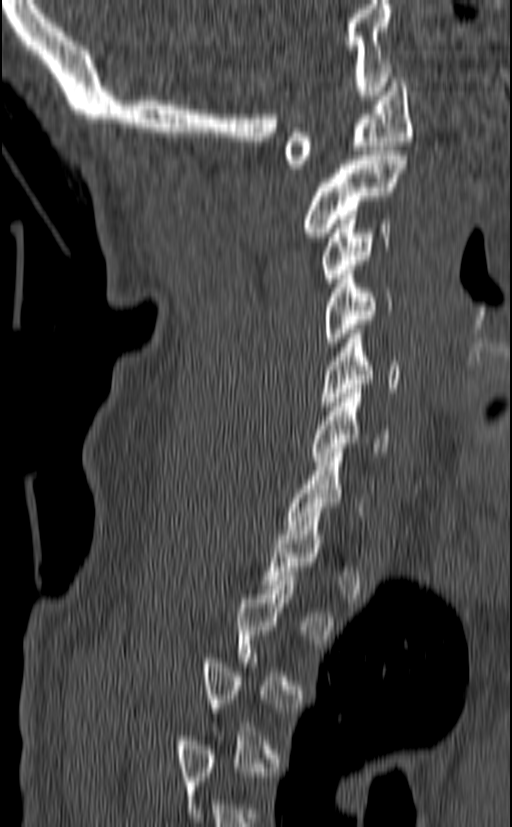

CT spine. sagittal view. 512x827 px
Bounding boxes as [x1, y1, x2, y2] in pixel coordinates.
A vertebra gets a box only on the slices from the first to the last where its cross-section is at least a third of its largest; on a slice outside that range it gets none.
Vertebra bounding boxes:
- C1: [283, 78, 412, 173]
- C2: [301, 151, 407, 237]
- C3: [320, 215, 392, 282]
- C4: [323, 265, 393, 346]
- C5: [319, 329, 399, 406]
- C6: [311, 389, 390, 461]
- C7: [285, 448, 363, 534]